Spine computed tomography; sagittal view; 180 mm image width; 11 vertebrae labeled in this scan
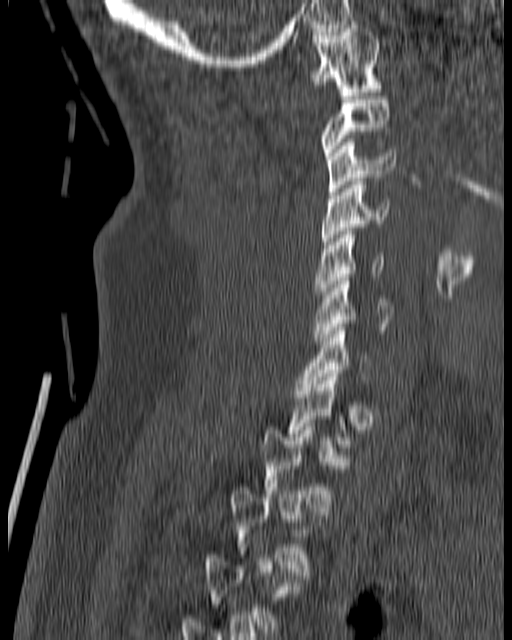

Box edges are left/top/right/bottom in pixels.
Each vertebra is boxed only on the slices from the first to the last where its cross-section reaches a third of its largest, so a slice outside that range leaves it unboxed.
C1: left=307, top=21, right=383, bottom=95
C2: left=319, top=96, right=389, bottom=159
C3: left=327, top=139, right=395, bottom=195
C4: left=322, top=178, right=390, bottom=248
C5: left=314, top=231, right=387, bottom=294
C6: left=314, top=277, right=393, bottom=344